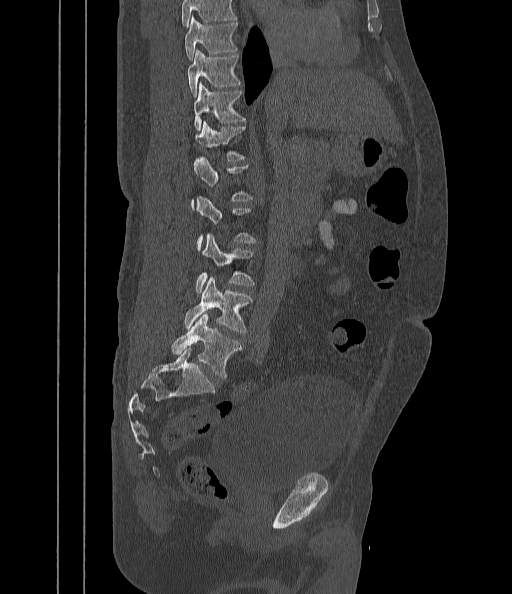

CT, spine. sagittal view. 442 mm wide. bone-window reconstruction

Each vertebra is boxed only on the slices from the first to the last where its cross-section reaches a third of its largest, so a slice outside that range leaves it unboxed.
A vertebra cut off by the top edge of the scan is not labeled and has no box.
<vertebrae><v name="L5" x1="171" y1="314" x2="242" y2="378"/><v name="L4" x1="184" y1="276" x2="251" y2="333"/><v name="L3" x1="196" y1="235" x2="254" y2="293"/><v name="T12" x1="196" y1="122" x2="244" y2="161"/><v name="T11" x1="193" y1="82" x2="244" y2="131"/><v name="T10" x1="188" y1="50" x2="240" y2="95"/><v name="T9" x1="185" y1="16" x2="236" y2="60"/></vertebrae>